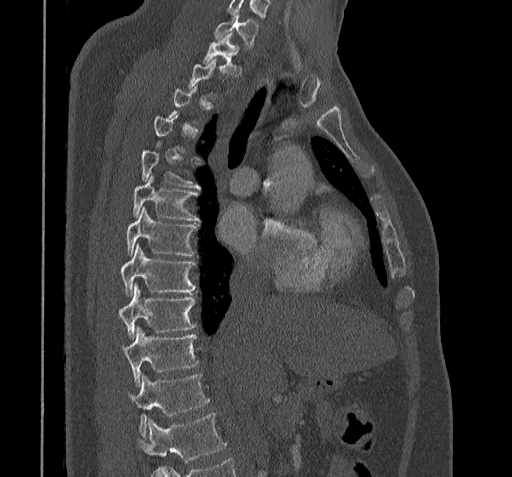

CT, spine. the image is 322 mm wide. sagittal view. W/L 1800/400 HU. Boxes: x1:y1:x2:y2 in pixels.
A vertebra is boxed only from the first to the last slice where its cross-section is at least a third of its largest; slices outside that range leave it without a box.
Vertebrae that run past the bottom of the scan are left unlabeled.
C7: 214:14:258:46
T1: 202:33:240:75
T5: 140:149:199:188
T6: 133:176:199:221
T7: 127:208:196:257
T8: 121:245:196:295
T9: 117:285:194:337
T10: 122:326:197:385
T11: 128:375:209:435